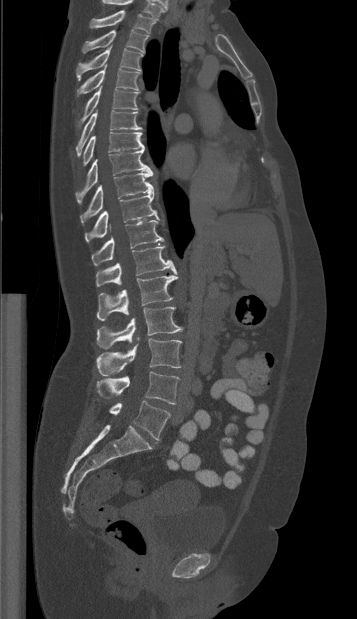

Computed tomography of the spine; sagittal view; 357x619 px

Box edges are left/top/right/bottom in pixels.
The highest labeled vertebra in this scan is T1; the lowest is L5.
T1: left=89, top=10, right=156, bottom=33
T2: left=82, top=29, right=148, bottom=53
T3: left=76, top=45, right=142, bottom=80
T4: left=76, top=64, right=138, bottom=97
T5: left=77, top=86, right=138, bottom=127
T6: left=76, top=110, right=141, bottom=156
T7: left=82, top=132, right=144, bottom=166
T8: left=75, top=149, right=151, bottom=202
T9: left=80, top=172, right=153, bottom=222
T10: left=85, top=190, right=159, bottom=242
T11: left=91, top=220, right=163, bottom=265
T12: left=96, top=246, right=177, bottom=286
L1: left=96, top=275, right=178, bottom=320
L2: left=96, top=307, right=182, bottom=349
L3: left=96, top=338, right=181, bottom=376
L4: left=96, top=371, right=179, bottom=404
L5: left=109, top=401, right=170, bottom=439